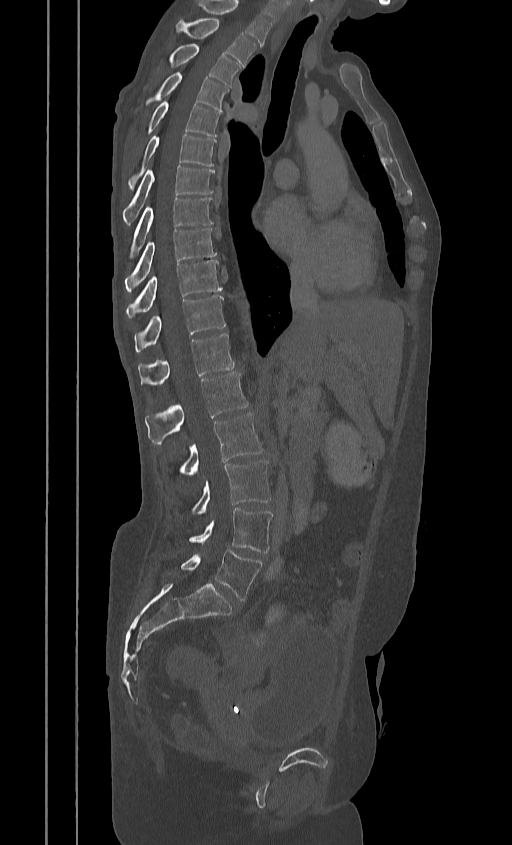 CT. sagittal view. W/L 1800/400 HU. 512x845 px
Coordinates as <box>x1,y1,x2,y2</box>.
Labels in this scan begin with T2 at the top and end with L5 at the bottom.
T2: <box>176,19,256,66</box>
T3: <box>168,44,240,87</box>
T4: <box>145,72,228,111</box>
T5: <box>146,101,220,136</box>
T6: <box>128,135,216,190</box>
T7: <box>122,165,213,224</box>
T8: <box>129,197,213,259</box>
T9: <box>125,228,216,291</box>
T10: <box>125,260,221,318</box>
T11: <box>134,295,225,351</box>
T12: <box>138,333,233,384</box>
L1: <box>145,372,248,444</box>
L2: <box>180,413,263,475</box>
L3: <box>192,460,271,514</box>
L4: <box>189,508,272,552</box>
L5: <box>181,549,261,600</box>